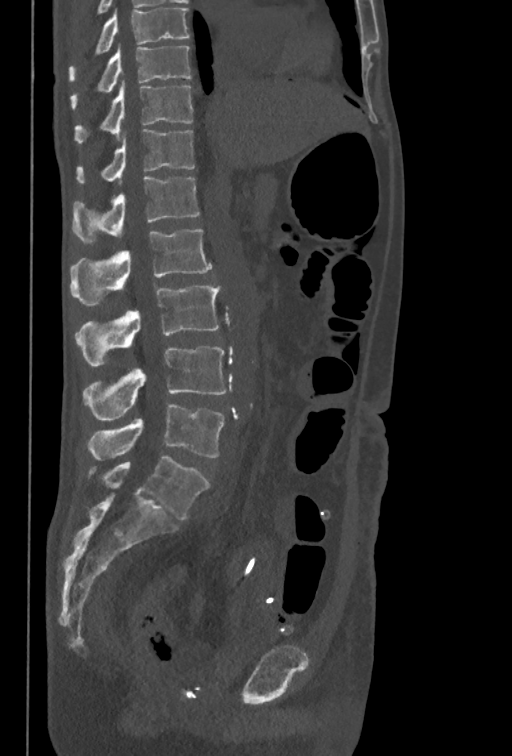

Spine computed tomography — 350 mm wide — sagittal view — bone window. Boxes are (x1, y1, x2, y2) in pixels.
The highest labeled vertebra in this scan is T10; the lowest is L5.
L5: (88, 404, 224, 460)
L4: (83, 346, 227, 420)
L3: (74, 284, 221, 366)
L2: (70, 229, 212, 306)
L1: (72, 176, 199, 244)
T12: (76, 129, 195, 183)
T11: (74, 82, 192, 144)
T10: (70, 46, 190, 110)